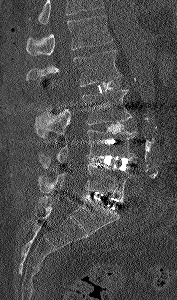
Computed tomography of the spine — sagittal view — Bone window (WL 400, WW 1800) — 177x300 px
Box values are [left, top, right, bottom] in pixels.
Vertebrae that run past the top of the scan are left unlabeled.
{"vertebrae":{"L5":[38,163,133,199],"L4":[39,130,136,167],"L3":[35,90,132,137],"L2":[26,50,121,86],"L1":[26,15,112,56]}}